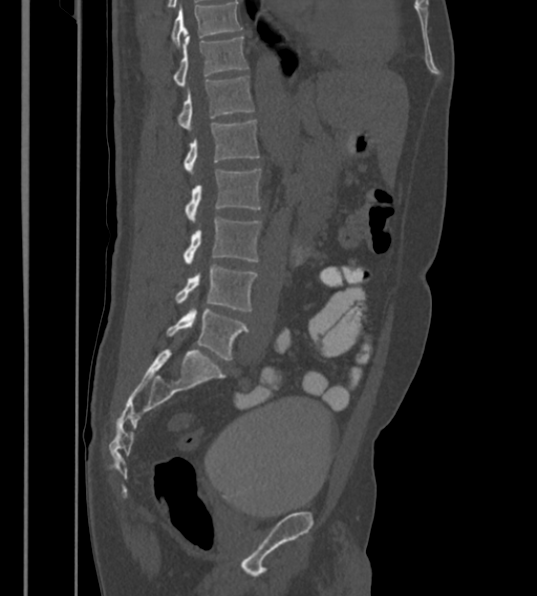
Computed tomography of the spine — sagittal view — W/L 1800/400 HU
This scan's labels start at T12 at the top and end at L6 at the bottom.
In these labels the spine has an L6, a sixth lumbar vertebra below L5.
<vertebrae><v name="T12" x1="174" y1="36" x2="248" y2="86"/><v name="L1" x1="177" y1="75" x2="254" y2="130"/><v name="L2" x1="184" y1="120" x2="259" y2="173"/><v name="L3" x1="185" y1="169" x2="261" y2="221"/><v name="L4" x1="184" y1="216" x2="261" y2="264"/><v name="L5" x1="175" y1="266" x2="258" y2="311"/><v name="L6" x1="166" y1="309" x2="249" y2="360"/></vertebrae>